Spine CT — the image spans 157 mm across — sagittal view — Bone window (WL 400, WW 1800) — 512x929 px
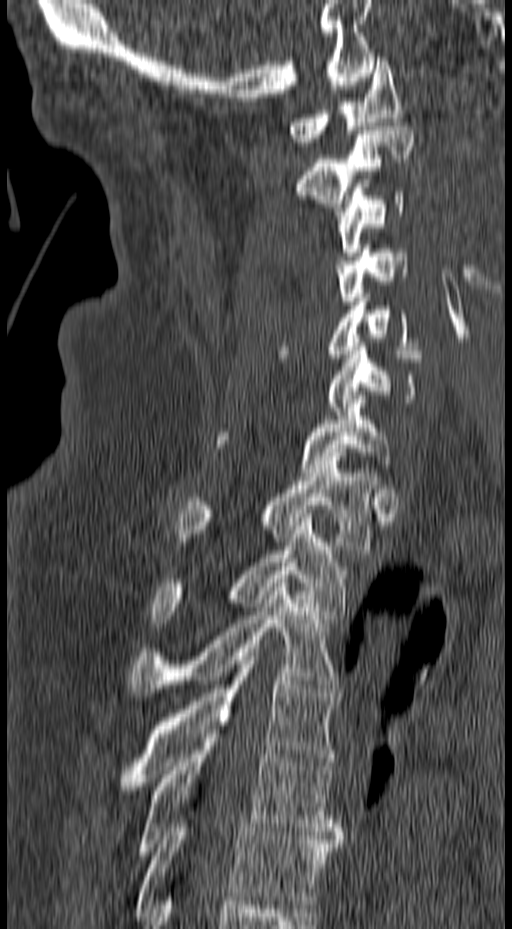 Boxes are given in columns x1, y1, x2, y2, the pixel coordinates of their top-left and bottom-right corners.
| vertebra | x1 | y1 | x2 | y2 |
|---|---|---|---|---|
| C1 | 288 | 57 | 402 | 146 |
| C2 | 295 | 126 | 414 | 207 |
| C3 | 334 | 188 | 404 | 256 |
| C4 | 335 | 245 | 408 | 305 |
| C5 | 278 | 294 | 426 | 358 |
| C6 | 327 | 338 | 420 | 415 |
| C7 | 216 | 391 | 393 | 476 |
| T1 | 174 | 457 | 376 | 553 |
| T2 | 151 | 514 | 346 | 627 |
| T3 | 130 | 579 | 339 | 696 |
| T4 | 118 | 648 | 339 | 790 |
| T5 | 138 | 726 | 343 | 855 |
| T6 | 135 | 819 | 343 | 912 |